Spine CT; sagittal view
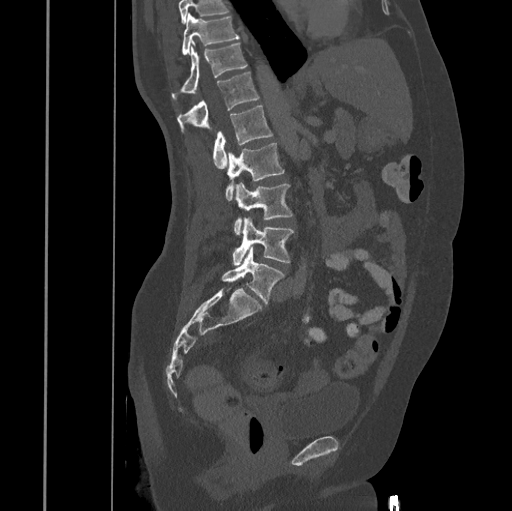
Each box given as x1,y1,x2,y2. No box is given to a vertebra that the top edge of the scan cuts off. Vertebrae labeled: T10 at x1=182, y1=13, x2=239, y2=55, T11 at x1=171, y1=42, x2=246, y2=100, T12 at x1=177, y1=72, x2=259, y2=129, L1 at x1=213, y1=106, x2=273, y2=168, L2 at x1=225, y1=143, x2=284, y2=200, L3 at x1=233, y1=182, x2=292, y2=235, L4 at x1=232, y1=217, x2=293, y2=266, L5 at x1=221, y1=247, x2=283, y2=303.